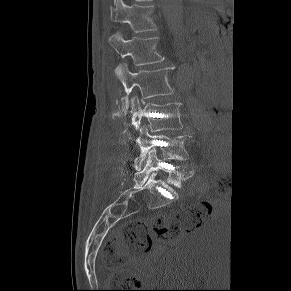

CT spine. sagittal view. 291x291 px
Boxes below are [x1, y1, x2, y2] in pixels.
{"vertebrae":{"L5":[134,148,194,188],"L4":[134,126,191,170],"L3":[130,96,182,131],"L2":[115,63,175,114],"L1":[109,32,163,65],"T12":[110,0,156,32]}}